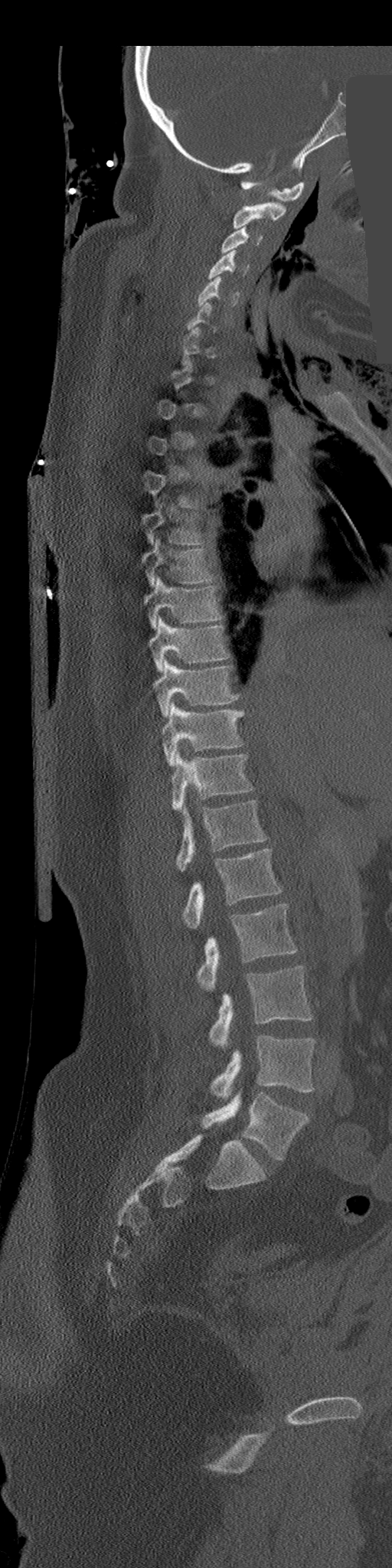
Computed tomography of the spine — sagittal view — Bone window (WL 400, WW 1800) — some of the image was removed or blocked out with constant pixels
Boxes: x1:y1:x2:y2 in pixels. A vertebra gets a box only on the slices from the first to the last where its cross-section is at least a third of its largest; on a slice outside that range it gets none. 18 vertebrae labeled — L5 at 202:1093:308:1161; L4 at 210:1036:314:1099; L3 at 210:965:312:1048; L2 at 197:903:296:991; L1 at 183:849:282:929; T12 at 175:800:266:871; T11 at 171:752:253:811; T10 at 162:703:243:765; T9 at 153:660:240:715; T8 at 149:616:228:671; T7 at 143:575:220:629; T6 at 142:539:213:586; T5 at 142:511:204:544; C5 at 198:276:240:305; C4 at 208:250:248:279; C3 at 221:226:263:253; C2 at 233:202:286:228; C1 at 240:181:304:201.